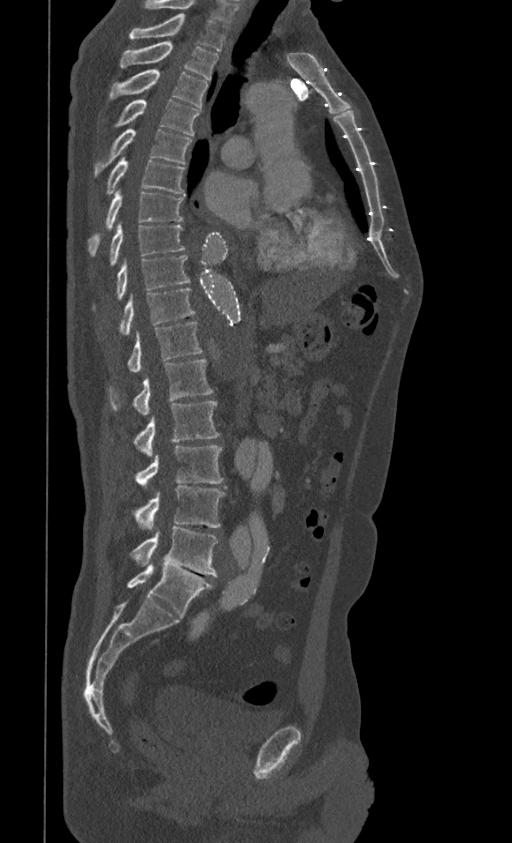 CT spine — sagittal view — 399 mm across the image

Boxes below are [x1, y1, x2, y2] in pixels.
In this scan, the topmost labeled vertebra is T1 and the lowest is L5.
{"vertebrae":{"L5":[127,564,212,616],"L4":[131,527,217,576],"L3":[135,485,225,529],"L2":[135,446,223,488],"L1":[133,401,220,457],"T12":[109,359,213,415],"T11":[127,322,202,371],"T10":[119,288,195,334],"T9":[94,255,190,309],"T8":[109,222,185,265],"T7":[88,189,184,255],"T6":[106,155,185,194],"T5":[94,128,191,176],"T4":[115,99,199,135],"T3":[109,69,208,108],"T2":[119,42,219,80],"T1":[129,13,227,50]}}